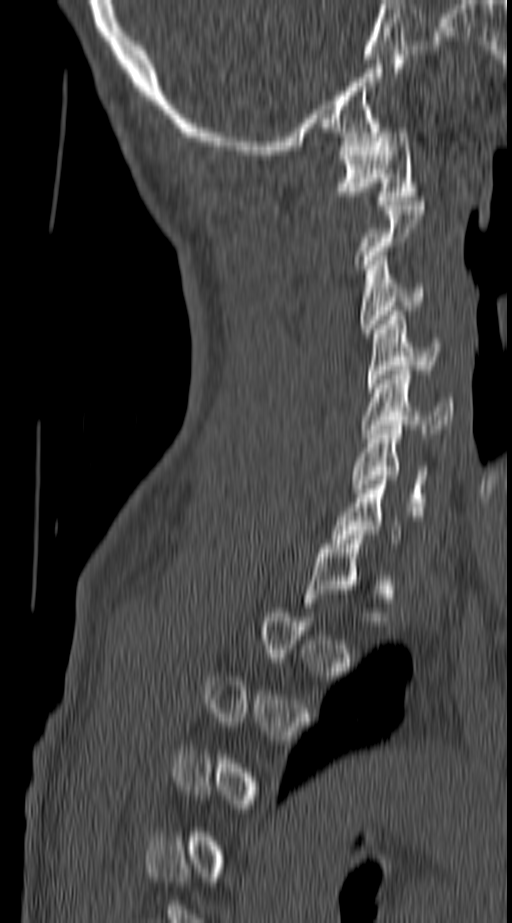 Spine computed tomography; sagittal reformat; image 140 mm wide. Bounding boxes as [x1, y1, x2, y2] in pixel coordinates.
Not every vertebra on this slice has a box: a vertebra is boxed only from the first to the last slice where its cross-section is at least a third of its largest, and this slice is outside that range for at least one of them.
Vertebra bounding boxes:
- C1: [334, 128, 417, 205]
- C3: [360, 256, 424, 333]
- C4: [367, 311, 441, 388]
- C5: [361, 370, 453, 438]
- C6: [350, 425, 427, 511]